Spine computed tomography; sagittal reformat; bone window; scan covers 16 annotated vertebrae
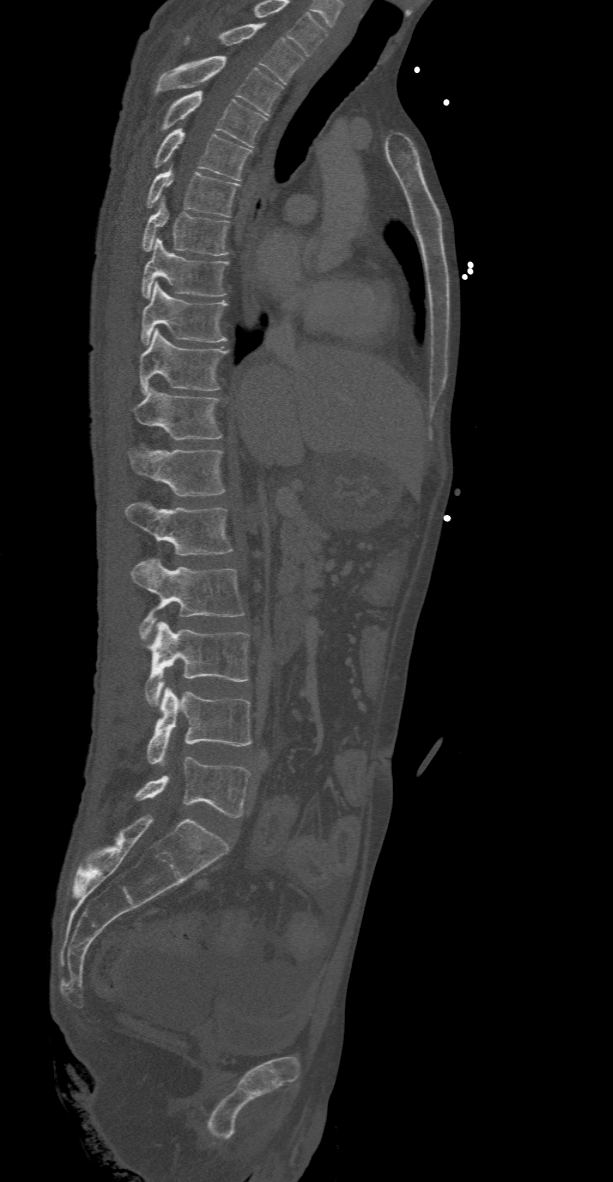 Each vertebra maps to its box as [x1, y1, x2, y2], the pixel coordinates of its top-left and bottom-right corners.
In this scan, the topmost labeled vertebra is T2 and the lowest is L5.
{"vertebrae":{"T2":[183,24,303,85],"T3":[157,56,282,115],"T4":[163,91,267,146],"T5":[155,129,251,180],"T6":[146,166,239,216],"T7":[141,197,229,255],"T8":[141,237,229,298],"T9":[141,282,227,343],"T10":[138,329,228,393],"T11":[129,388,221,440],"T12":[129,449,224,496],"L1":[125,502,233,555],"L2":[129,559,243,641],"L3":[145,621,248,705],"L4":[146,687,251,765],"L5":[134,756,251,816]}}